Computed tomography of the spine. Sagittal slice 259/512. Bone window (WL 400, WW 1800)
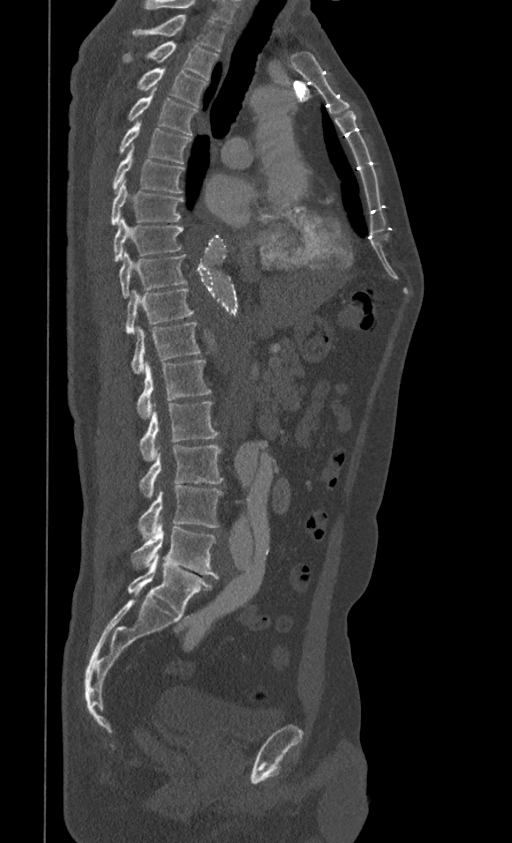 In this scan, the topmost labeled vertebra is T1 and the lowest is L5.
<vertebrae><v name="T1" x1="132" y1="14" x2="227" y2="50"/><v name="T2" x1="122" y1="42" x2="218" y2="80"/><v name="T3" x1="137" y1="67" x2="207" y2="106"/><v name="T4" x1="128" y1="92" x2="196" y2="136"/><v name="T5" x1="119" y1="122" x2="191" y2="163"/><v name="T6" x1="113" y1="147" x2="184" y2="193"/><v name="T7" x1="111" y1="181" x2="182" y2="225"/><v name="T8" x1="113" y1="217" x2="182" y2="261"/><v name="T9" x1="119" y1="251" x2="186" y2="298"/><v name="T10" x1="126" y1="289" x2="194" y2="334"/><v name="T11" x1="131" y1="322" x2="200" y2="373"/><v name="T12" x1="137" y1="359" x2="211" y2="418"/><v name="L1" x1="140" y1="402" x2="218" y2="461"/><v name="L2" x1="140" y1="446" x2="222" y2="498"/><v name="L3" x1="138" y1="485" x2="222" y2="539"/><v name="L4" x1="131" y1="521" x2="218" y2="578"/><v name="L5" x1="127" y1="553" x2="212" y2="615"/></vertebrae>